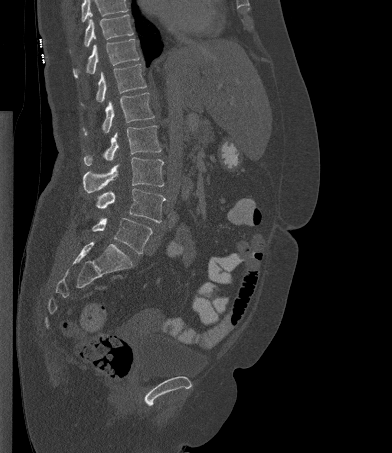

CT spine · sagittal view · 392 mm across the image · W/L 1800/400 HU · 392x453 px
Boxes are (x1, y1, x2, y2) in pixels.
Where the top of the scan cuts through a vertebra, that vertebra gets no label or box.
Vertebra bounding boxes:
- T10: (84, 14, 133, 46)
- T11: (73, 39, 139, 78)
- T12: (81, 64, 146, 105)
- L1: (83, 92, 154, 135)
- L2: (83, 125, 161, 165)
- L3: (83, 157, 164, 192)
- L4: (96, 188, 165, 222)
- L5: (92, 218, 152, 254)